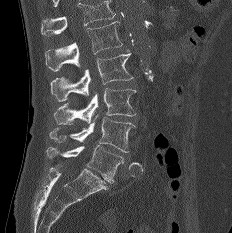
Spine CT. sagittal view. Boxes are (x1, y1, x2, y2) in pixels.
No box is given to a vertebra that the top edge of the scan cuts off.
Vertebra bounding boxes:
- L1: (45, 21, 122, 71)
- L2: (50, 50, 133, 101)
- L3: (54, 88, 136, 124)
- L4: (49, 114, 135, 152)
- L5: (46, 145, 123, 183)